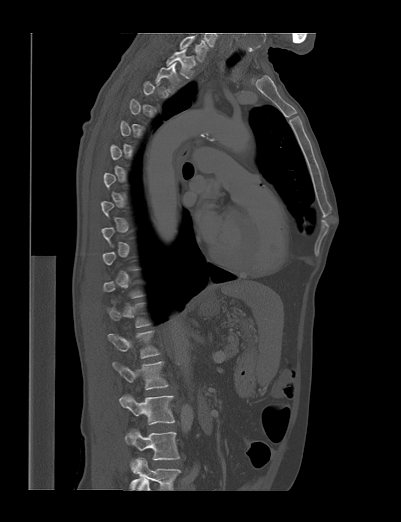
Spine CT; sagittal view; Bone window (WL 400, WW 1800); 401x522 px. Bounding boxes as [x1, y1, x2, y2] in pixel coordinates. Not every vertebra on this slice has a box: a vertebra is boxed only from the first to the last slice where its cross-section is at least a third of its largest, and this slice is outside that range for at least one of them. Labels in this scan begin with T1 at the top and end with L4 at the bottom. 5 vertebrae labeled — L4 at [125, 431, 180, 472]; L3 at [119, 395, 174, 424]; L2 at [112, 361, 168, 389]; L1 at [108, 330, 159, 357]; T1 at [166, 48, 197, 78].